CT spine. sagittal plane, index 233. 512x757 px. 11 vertebrae labeled in this scan
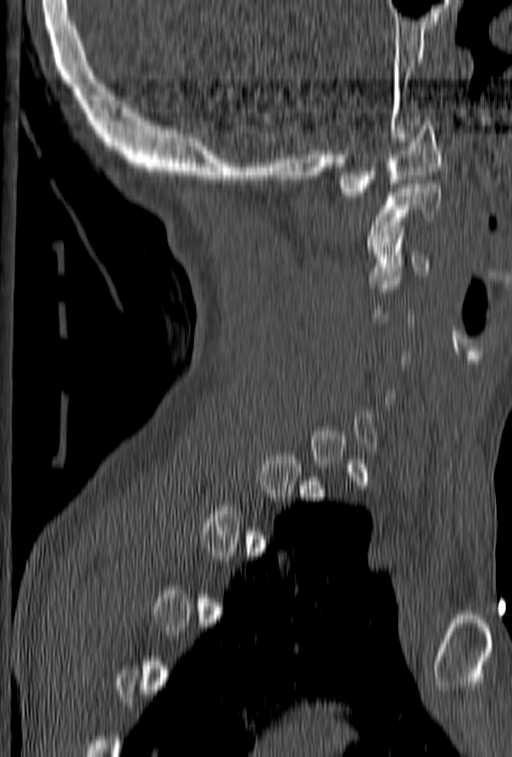

Each vertebra is boxed only on the slices from the first to the last where its cross-section reaches a third of its largest, so a slice outside that range leaves it unboxed.
<vertebrae><v name="C3" x1="367" y1="238" x2="429" y2="283"/><v name="C2" x1="366" y1="180" x2="441" y2="250"/><v name="C1" x1="337" y1="121" x2="442" y2="196"/></vertebrae>